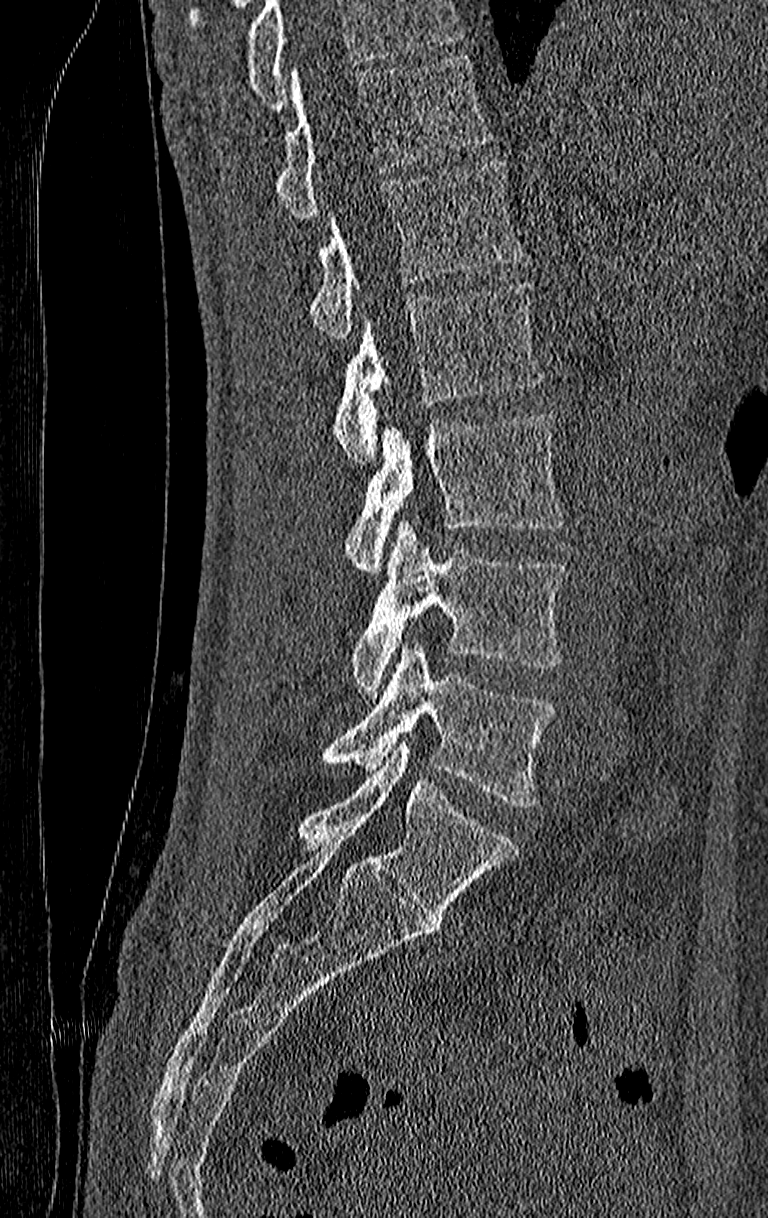 CT spine — sagittal view — 768x1218 px
Bounding boxes as [x1, y1, x2, y2] in pixel coordinates. Vertebrae that run past the top of the scan are left unlabeled. This scan's labels start at T11 at the top and end at L4 at the bottom. Vertebrae labeled: T11 at [273, 56, 491, 220], T12 at [310, 161, 524, 340], L1 at [331, 283, 546, 465], L2 at [342, 415, 565, 573], L3 at [350, 520, 568, 695], L4 at [320, 640, 557, 809].